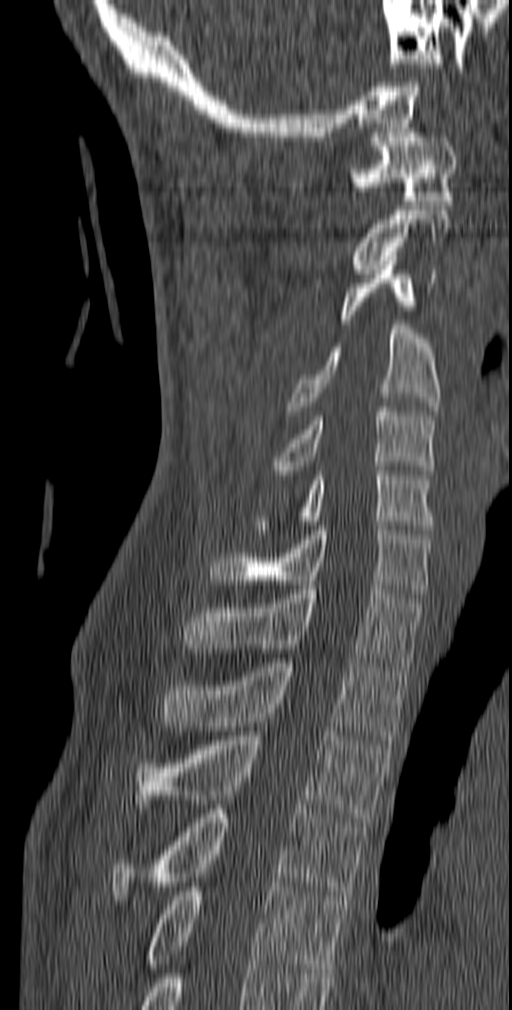
CT. sagittal view. Bone window (WL 400, WW 1800). 512x1010 px

<vertebrae><v name="C1" x1="350" y1="133" x2="457" y2="205"/><v name="C2" x1="352" y1="210" x2="450" y2="273"/><v name="C3" x1="341" y1="256" x2="436" y2="324"/><v name="C4" x1="286" y1="325" x2="440" y2="415"/><v name="C5" x1="269" y1="407" x2="436" y2="474"/><v name="C6" x1="256" y1="466" x2="436" y2="534"/><v name="C7" x1="208" y1="526" x2="432" y2="598"/><v name="T1" x1="183" y1="585" x2="424" y2="671"/><v name="T2" x1="161" y1="658" x2="411" y2="740"/><v name="T3" x1="136" y1="731" x2="391" y2="826"/><v name="T4" x1="110" y1="809" x2="366" y2="900"/><v name="T5" x1="145" y1="882" x2="348" y2="973"/></vertebrae>